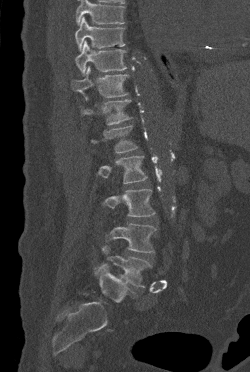

CT; sagittal reformat; 250x372 px
Boxes are (x1, y1, x2, y2) in pixels. A vertebra cut off by the top edge of the scan is not labeled and has no box. 9 vertebrae labeled — T9 at (75, 17, 125, 51); T10 at (75, 40, 126, 75); T11 at (71, 66, 129, 100); T12 at (81, 99, 132, 125); L1 at (91, 125, 137, 153); L2 at (98, 155, 147, 183); L3 at (103, 189, 155, 216); L4 at (105, 223, 156, 252); L5 at (95, 245, 151, 287).